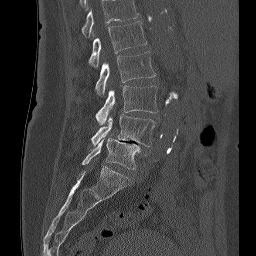
Spine CT. sagittal view. the image is 256 mm wide. bone-window reconstruction
Labels in this scan begin with L1 at the top and end with L5 at the bottom.
<vertebrae><v name="L1" x1="89" y1="21" x2="146" y2="68"/><v name="L2" x1="95" y1="51" x2="155" y2="94"/><v name="L3" x1="95" y1="85" x2="157" y2="125"/><v name="L4" x1="91" y1="114" x2="154" y2="146"/><v name="L5" x1="82" y1="138" x2="140" y2="169"/></vertebrae>